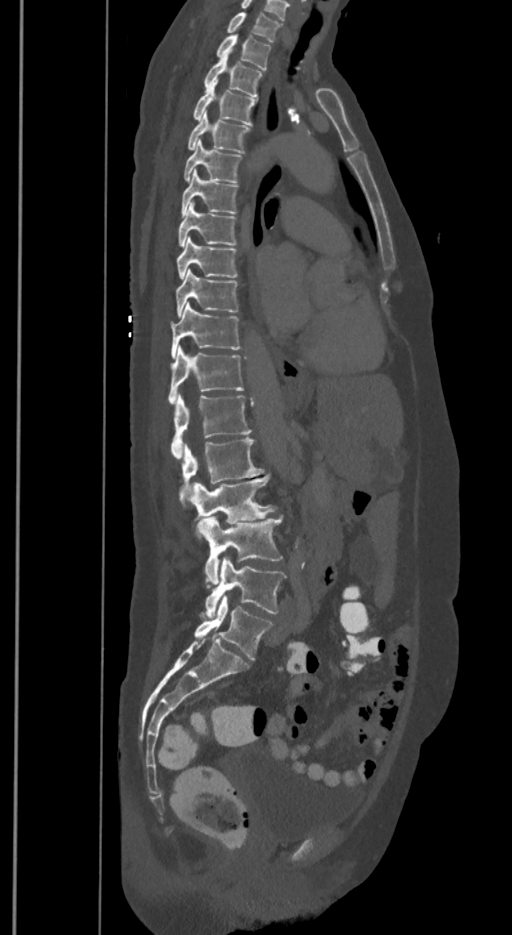

Spine CT · sagittal view

Each box is [x1, y1, x2, y2] in pixels: top-left corner, then bottom-right corner.
These labels give the spine a sixth lumbar vertebra, L6, below L5.
{"vertebrae":{"T1":[227,12,280,41],"T2":[216,34,271,69],"T3":[205,50,262,98],"T4":[193,80,255,125],"T5":[188,113,249,153],"T6":[184,140,240,182],"T7":[181,170,237,216],"T8":[178,201,236,247],"T9":[177,237,237,278],"T10":[175,270,237,316],"T11":[171,301,240,357],"T12":[168,346,243,403],"L1":[171,395,250,457],"L2":[180,437,264,501],"L3":[190,474,275,523],"L4":[196,516,283,588],"L5":[205,557,285,616],"L6":[194,595,272,660]}}